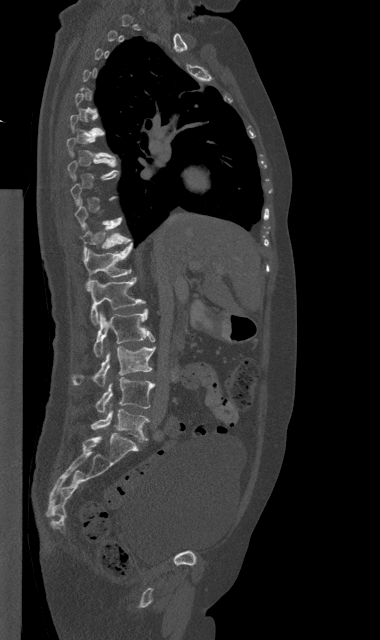

Computed tomography of the spine — sagittal view — 380x640 px
Bounding boxes as [x1, y1, x2, y2] in pixel coordinates.
A vertebra is boxed only from the first to the last slice where its cross-section is at least a third of its largest; slices outside that range leave it without a box.
Vertebra bounding boxes:
- T11: [81, 220, 131, 257]
- T12: [84, 243, 132, 290]
- L1: [90, 277, 145, 324]
- L2: [93, 309, 154, 356]
- L3: [72, 346, 154, 386]
- L4: [96, 377, 154, 412]
- L5: [91, 404, 148, 441]